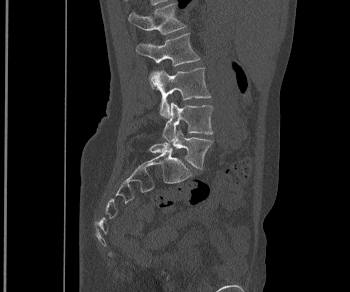
CT, spine — sagittal reformat — image width 350 mm
Box values are [left, top, right, bottom] in pixels.
{"vertebrae":{"L1":[128,3,185,34],"L2":[136,33,200,66],"L3":[150,67,211,117],"L4":[162,101,213,141],"L5":[149,130,212,169]}}